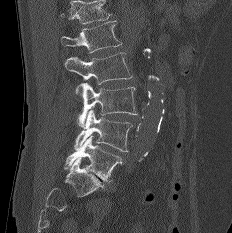
CT spine — sagittal view — 232x233 px
Bounding boxes as [x1, y1, x2, y2] in pixel coordinates.
Vertebrae that run past the top of the scan are left unlabeled.
Vertebra bounding boxes:
- L1: [61, 20, 121, 52]
- L2: [64, 52, 132, 84]
- L3: [76, 83, 137, 127]
- L4: [74, 110, 134, 151]
- L5: [64, 135, 122, 182]